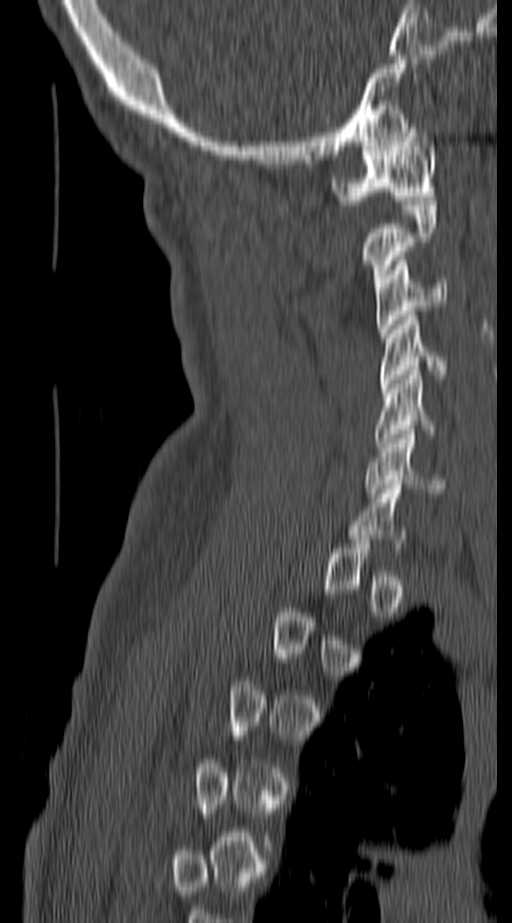
Computed tomography of the spine — image 140 mm wide — sagittal view — bone-window reconstruction

Each box is [x1, y1, x2, y2] in pixels: top-left corner, then bottom-right corner.
A vertebra is boxed only from the first to the last slice where its cross-section is at least a third of its largest; slices outside that range leave it without a box.
{"vertebrae":{"C1":[330,123,436,205],"C2":[363,201,436,287],"C3":[374,256,447,337],"C4":[378,311,447,388],"C5":[373,370,463,447],"C6":[365,430,444,493]}}